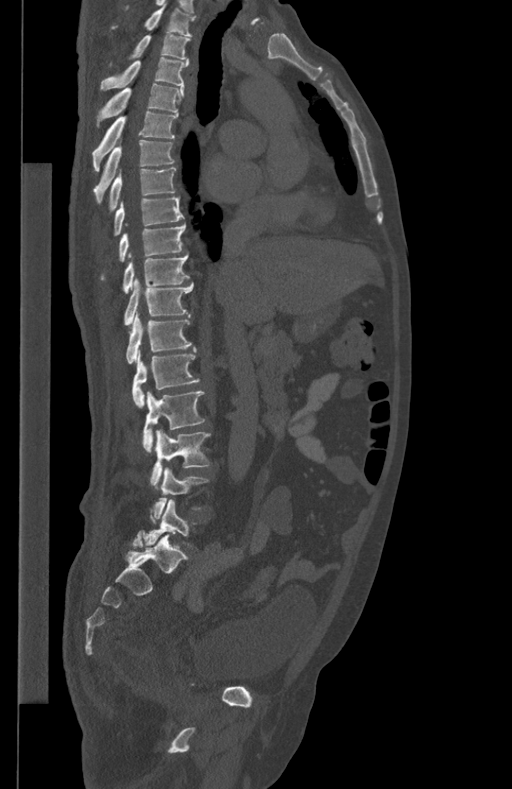 CT, spine; sagittal view. Boxes: x1 y1 x2 y2 (pixel coords, space-separated).
Vertebra bounding boxes:
- T1: 111 3 196 36
- T2: 107 34 190 67
- T3: 100 57 189 89
- T4: 98 84 184 121
- T5: 92 110 178 170
- T6: 93 140 175 203
- T7: 108 167 176 213
- T8: 113 196 183 236
- T9: 100 224 185 279
- T10: 121 254 190 293
- T11: 124 279 194 325
- T12: 126 312 191 363
- L1: 132 347 199 407
- L2: 143 392 204 451
- L3: 151 429 210 488
- L4: 150 468 209 521
- L5: 144 500 197 546